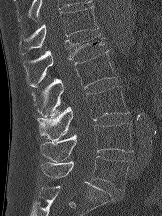
Spine computed tomography. sagittal view

Boxes are given in columns x1, y1, x2, y2, the pixel coordinates of their top-left and bottom-right corners.
| vertebra | x1 | y1 | x2 | y2 |
|---|---|---|---|---|
| T12 | 19 | 6 | 98 | 54 |
| L1 | 23 | 35 | 105 | 86 |
| L2 | 31 | 50 | 116 | 117 |
| L3 | 37 | 86 | 128 | 141 |
| L4 | 40 | 123 | 133 | 161 |
| L5 | 41 | 156 | 128 | 190 |